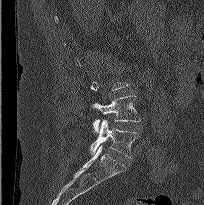
Computed tomography of the spine. sagittal view

In the table, x1 and y1 are a box's top-left corner and x2 and y2 its bottom-right corner, in pixels.
A vertebra gets a box only on the slices from the first to the last where its cross-section is at least a third of its largest; on a slice outside that range it gets none.
| vertebra | x1 | y1 | x2 | y2 |
|---|---|---|---|---|
| L4 | 93 | 95 | 140 | 132 |
| L5 | 90 | 119 | 138 | 158 |